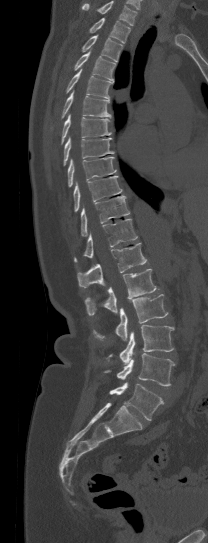
CT, spine — sagittal view — W/L 1800/400 HU

Box edges are left/top/right/bottom in pixels.
Where the top of the scan cuts through a vertebra, that vertebra gets no label or box.
Vertebra bounding boxes:
- T1: left=89, top=18, right=130, bottom=43
- T2: left=82, top=35, right=122, bottom=61
- T3: left=74, top=48, right=115, bottom=81
- T4: left=66, top=69, right=113, bottom=99
- T5: left=50, top=90, right=111, bottom=130
- T6: left=61, top=115, right=111, bottom=143
- T7: left=63, top=137, right=114, bottom=166
- T8: left=67, top=157, right=116, bottom=186
- T9: left=73, top=176, right=121, bottom=211
- T10: left=81, top=196, right=129, bottom=236
- T11: left=74, top=219, right=137, bottom=260
- T12: left=77, top=242, right=146, bottom=287
- L1: left=85, top=269, right=156, bottom=315
- L2: left=93, top=294, right=167, bottom=340
- L3: left=109, top=325, right=174, bottom=363
- L4: left=104, top=353, right=176, bottom=386
- L5: left=109, top=382, right=163, bottom=420